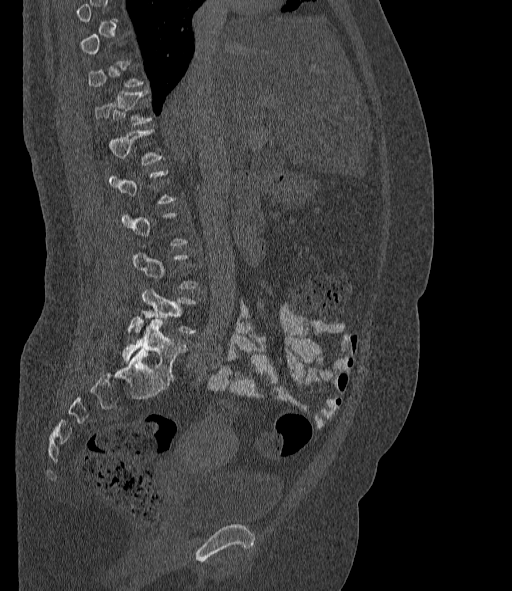 CT spine · sagittal view · W/L 1800/400 HU · the image is 377 mm wide
Box edges are left/top/right/bottom in pixels.
A vertebra gets a box only on the slices from the first to the last where its cross-section is at least a third of its largest; on a slice outside that range it gets none.
In these labels the spine has an L6, a sixth lumbar vertebra below L5.
| vertebra | x1 | y1 | x2 | y2 |
|---|---|---|---|---|
| T12 | 95 | 91 | 152 | 124 |
| L1 | 108 | 129 | 162 | 165 |
| L5 | 129 | 288 | 194 | 333 |
| L6 | 122 | 319 | 188 | 379 |